CT; Sagittal slice 266/768
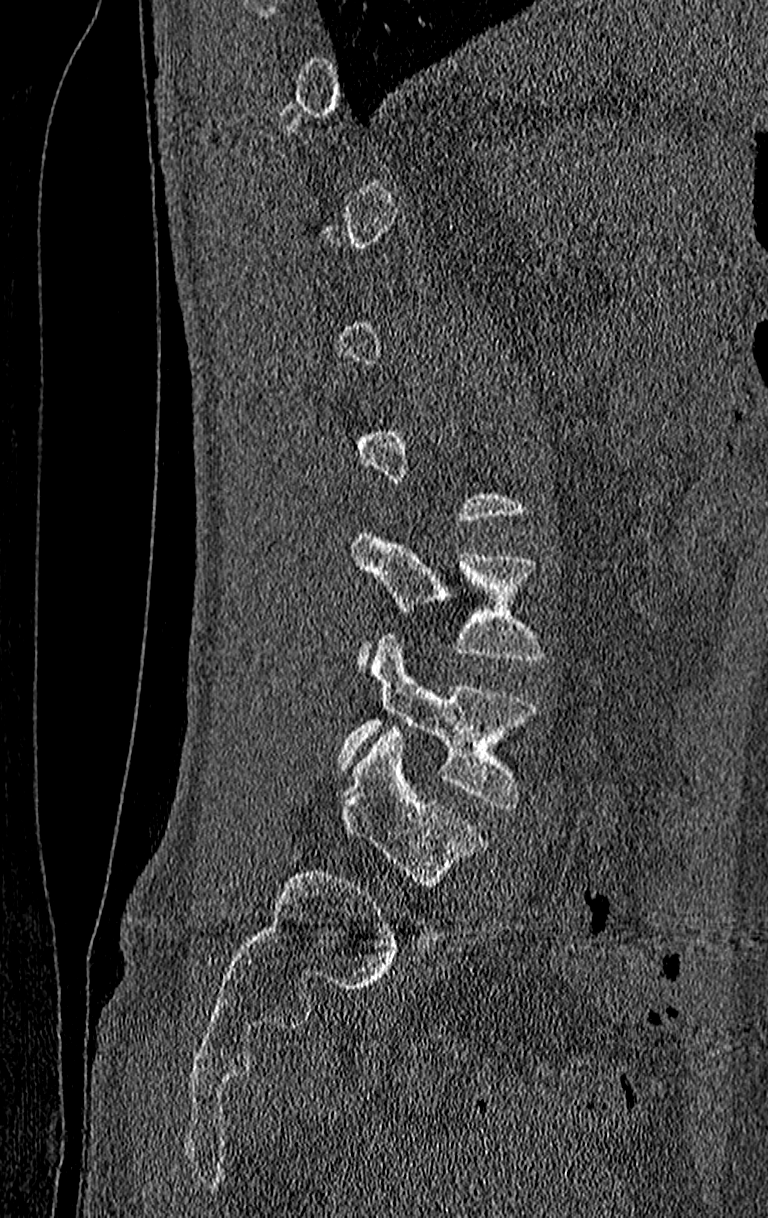
A vertebra gets a box only on the slices from the first to the last where its cross-section is at least a third of its largest; on a slice outside that range it gets none.
In this scan, the topmost labeled vertebra is T11 and the lowest is L4.
<vertebrae><v name="L3" x1="350" y1="528" x2="546" y2="669"/><v name="L4" x1="339" y1="634" x2="539" y2="809"/></vertebrae>